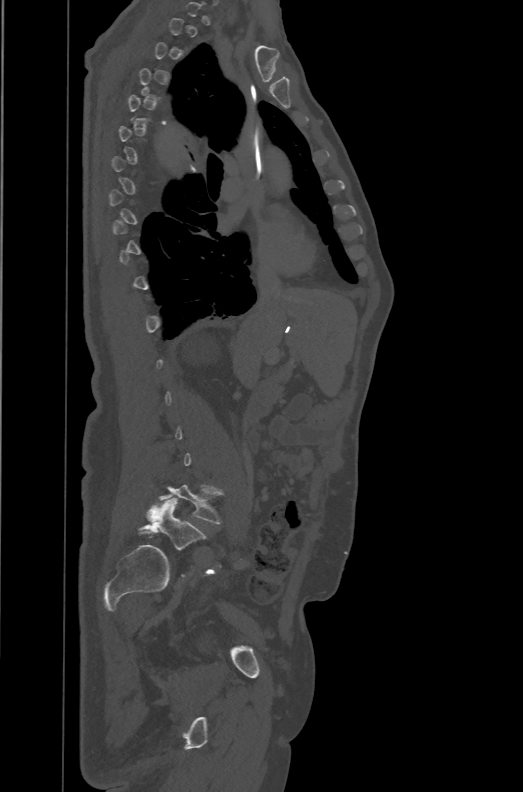
Spine CT · sagittal view · W/L 1800/400 HU

Box edges are left/top/right/bottom in pixels.
Each vertebra is boxed only on the slices from the first to the last where its cross-section reaches a third of its largest, so a slice outside that range leaves it unboxed.
The labels name a sixth lumbar vertebra for this spine: L6, after L5.
| vertebra | x1 | y1 | x2 | y2 |
|---|---|---|---|---|
| L5 | 159 | 484 | 221 | 523 |
| L6 | 138 | 498 | 205 | 549 |